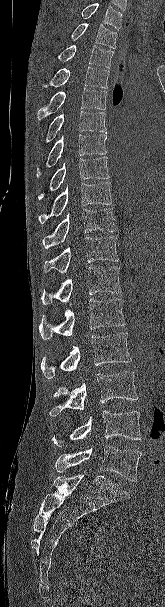
CT spine · sagittal view
Where the top of the scan cuts through a vertebra, that vertebra gets no label or box.
<vertebrae><v name="T2" x1="71" y1="23" x2="117" y2="48"/><v name="T3" x1="57" y1="45" x2="114" y2="68"/><v name="T4" x1="42" y1="66" x2="109" y2="88"/><v name="T5" x1="37" y1="88" x2="106" y2="120"/><v name="T6" x1="44" y1="111" x2="106" y2="144"/><v name="T7" x1="36" y1="134" x2="107" y2="178"/><v name="T8" x1="38" y1="157" x2="109" y2="200"/><v name="T9" x1="38" y1="182" x2="111" y2="224"/><v name="T10" x1="42" y1="208" x2="116" y2="249"/><v name="T11" x1="43" y1="236" x2="118" y2="273"/><v name="T12" x1="41" y1="266" x2="121" y2="304"/><v name="L1" x1="39" y1="299" x2="125" y2="339"/><v name="L2" x1="41" y1="332" x2="131" y2="379"/><v name="L3" x1="49" y1="371" x2="137" y2="416"/><v name="L4" x1="51" y1="410" x2="141" y2="447"/><v name="L5" x1="55" y1="445" x2="141" y2="481"/></vertebrae>